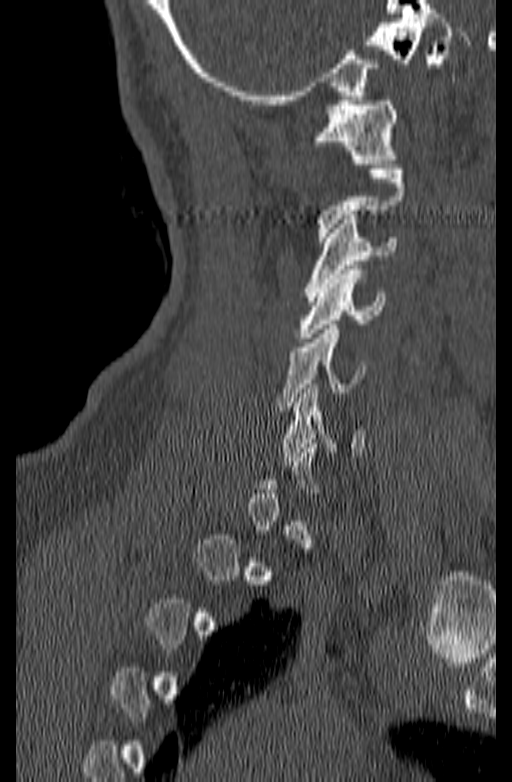 CT, spine — sagittal reformat
Box edges are left/top/right/bottom in pixels.
A vertebra gets a box only on the slices from the first to the last where its cross-section is at least a third of its largest; on a slice outside that range it gets none.
Vertebra bounding boxes:
- C6: left=281, top=384, right=364, bottom=461
- C5: left=275, top=325, right=365, bottom=406
- C4: left=297, top=265, right=385, bottom=342
- C3: left=305, top=215, right=396, bottom=301
- C2: left=317, top=169, right=406, bottom=241
- C1: left=313, top=96, right=397, bottom=164